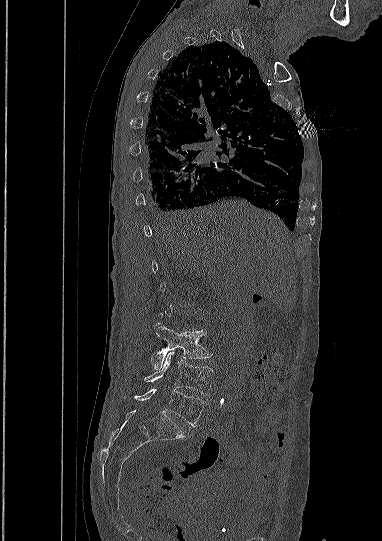 CT — the image spans 382 mm across — sagittal view — W/L 1800/400 HU — 382x541 px
Boxes below are [x1, y1, x2, y2] in pixels.
Not every vertebra on this slice has a box: a vertebra is boxed only from the first to the last slice where its cross-section is at least a third of its largest, and this slice is outside that range for at least one of them.
{"vertebrae":{"L3":[151,323,210,369],"L4":[144,351,213,395],"L5":[135,388,205,426]}}